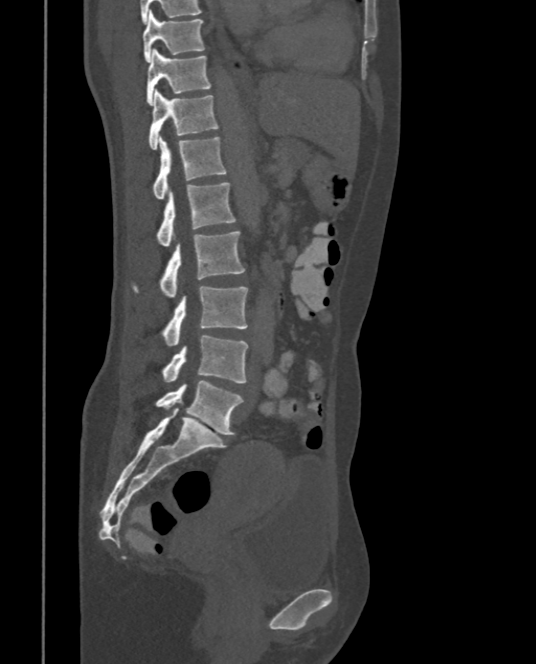

CT. image width 375 mm. sagittal view
<vertebrae><v name="T9" x1="142" y1="10" x2="204" y2="62"/><v name="T10" x1="145" y1="48" x2="210" y2="105"/><v name="T11" x1="149" y1="90" x2="219" y2="149"/><v name="T12" x1="153" y1="136" x2="227" y2="199"/><v name="L1" x1="156" y1="183" x2="235" y2="246"/><v name="L2" x1="131" y1="231" x2="245" y2="297"/><v name="L3" x1="161" y1="286" x2="247" y2="346"/><v name="L4" x1="161" y1="336" x2="247" y2="383"/><v name="L5" x1="156" y1="380" x2="243" y2="435"/></vertebrae>